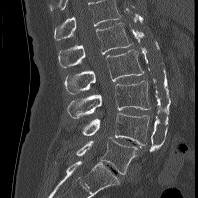

CT spine · sagittal reformat · bone window · 198x198 px. Each box given as x1,y1,x2,y2.
In this scan, the topmost labeled vertebra is L1 and the lowest is L5.
| vertebra | x1 | y1 | x2 | y2 |
|---|---|---|---|---|
| L1 | 58 | 23 | 132 | 68 |
| L2 | 64 | 50 | 144 | 94 |
| L3 | 67 | 81 | 150 | 118 |
| L4 | 82 | 113 | 149 | 145 |
| L5 | 76 | 137 | 137 | 174 |